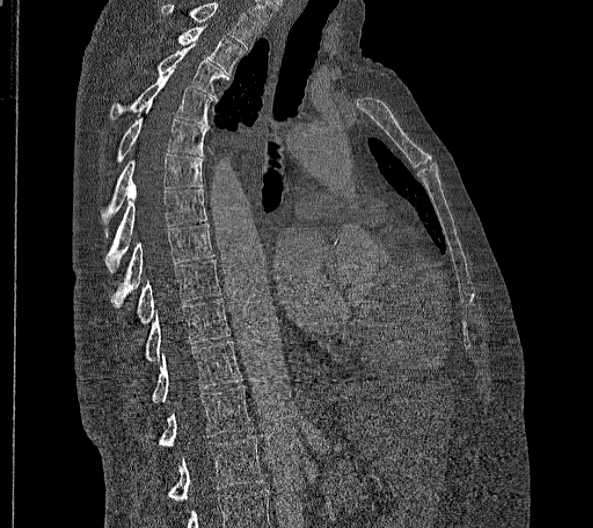

Spine computed tomography. sagittal view
Each box is [x1, y1, x2, y2] in pixels: top-left corner, then bottom-right corner.
The highest labeled vertebra in this scan is T2; the lowest is L2.
These labels give this spine no T12: after T11 the next vertebra is L1.
{"vertebrae":{"L2":[168,437,263,501],"L1":[158,385,252,446],"T11":[152,340,242,402],"T10":[145,298,231,361],"T9":[137,260,220,326],"T8":[110,223,213,308],"T7":[104,188,208,273],"T6":[102,153,202,237],"T5":[116,104,208,162],"T4":[109,73,212,126],"T3":[158,44,225,99],"T2":[178,27,245,75]}}